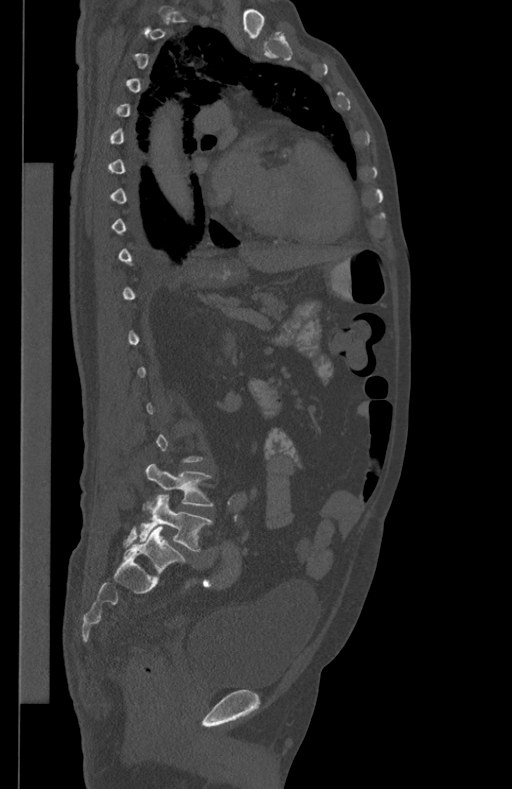
Spine computed tomography — 434 mm wide — sagittal view

Boxes: x1 y1 x2 y2 (pixel coords, space-separated). Not every vertebra on this slice has a box: a vertebra is boxed only from the first to the last slice where its cross-section is at least a third of its largest, and this slice is outside that range for at least one of them. 2 vertebrae labeled — L4 at 146 463 212 505; L5 at 140 495 211 551.